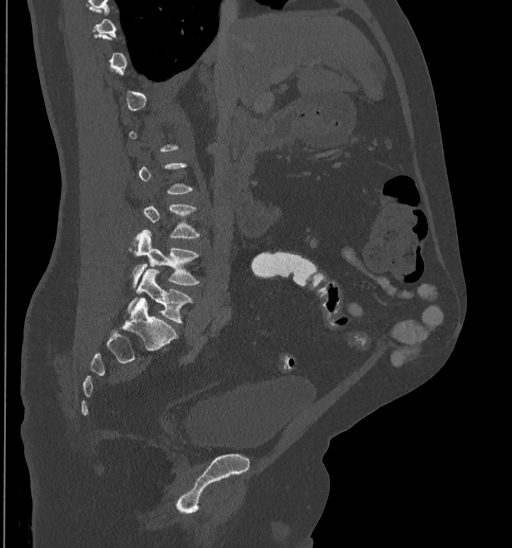

CT, spine; sagittal view; Bone window (WL 400, WW 1800); 435 mm image width
Box edges are left/top/right/bottom in pixels. A vertebra is boxed only from the first to the last slice where its cross-section is at least a third of its largest; slices outside that range leave it without a box. 2 vertebrae labeled — L4 at left=132, top=230, right=199, bottom=287; L5 at left=128, top=269, right=192, bottom=323.